Spine computed tomography · sagittal view · bone-window reconstruction · 512x757 px · 153 mm across the image · scan covers 11 annotated vertebrae
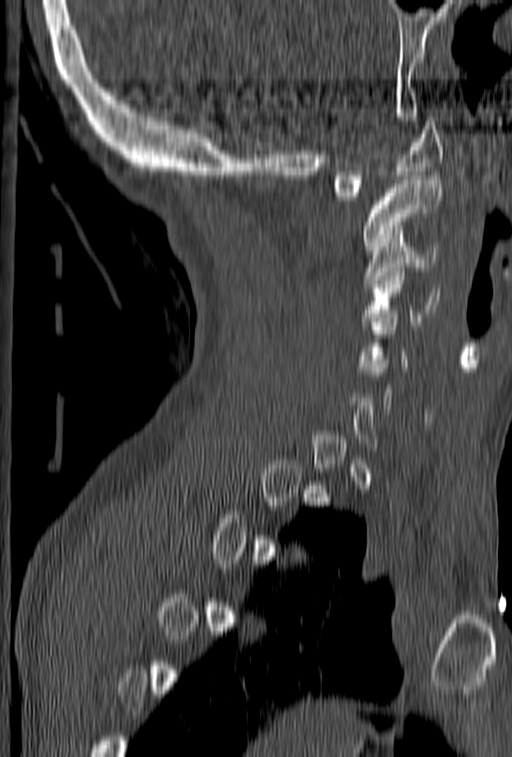 Bounding boxes as [x1, y1, x2, y2] in pixel coordinates.
Not every vertebra on this slice has a box: a vertebra is boxed only from the first to the last slice where its cross-section is at least a third of its largest, and this slice is outside that range for at least one of them.
C1: [332, 117, 443, 200]
C2: [363, 176, 442, 250]
C3: [363, 238, 439, 283]
C4: [361, 264, 439, 325]
C5: [359, 305, 409, 371]